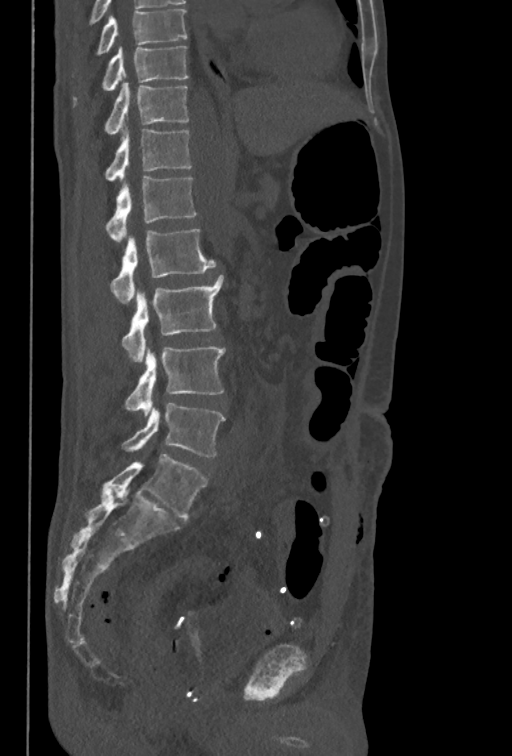
CT spine. sagittal view. bone window

Each box is [x1, y1, x2, y2] in pixels: top-left corner, then bottom-right corner.
This scan's labels start at T10 at the top and end at L5 at the bottom.
{"vertebrae":{"T10":[73,46,189,107],"T11":[104,82,189,135],"T12":[104,126,192,182],"L1":[105,176,196,241],"L2":[109,229,216,303],"L3":[121,275,223,361],"L4":[124,346,226,415],"L5":[121,403,226,456]}}